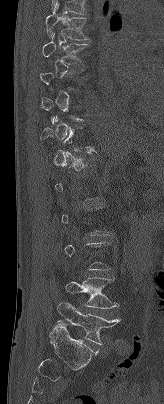
CT, spine · sagittal view · Bone window (WL 400, WW 1800) · 164x404 px
Bounding boxes as [x1, y1, x2, y2] in pixel coordinates.
A vertebra gets a box only on the slices from the first to the last where its cross-section is at least a third of its largest; on a slice outside that range it gets none.
Vertebra bounding boxes:
- T7: [45, 3, 88, 39]
- T8: [42, 32, 87, 65]
- L4: [65, 277, 118, 308]
- L5: [57, 301, 120, 344]